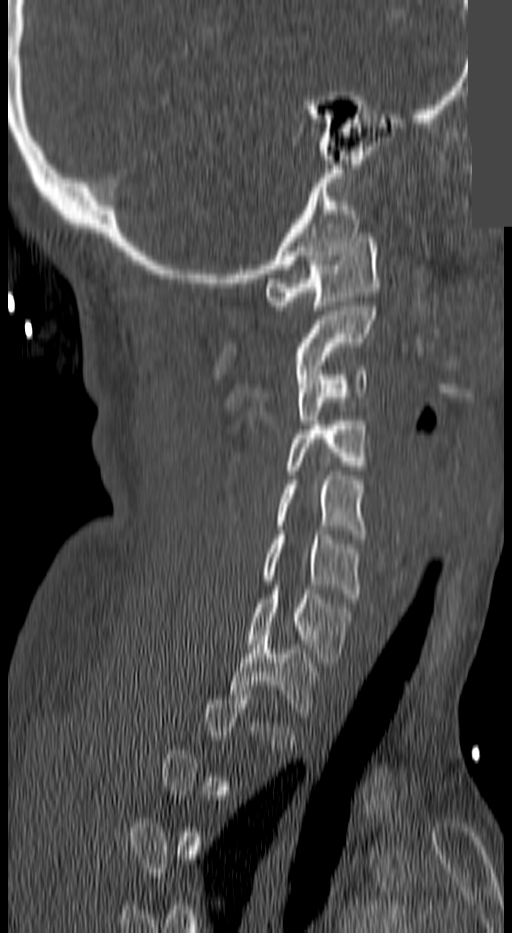

CT; 140 mm wide; sagittal view; 512x933 px; part of the image is a flat gray fill, not anatomy
Not every vertebra on this slice has a box: a vertebra is boxed only from the first to the last slice where its cross-section is at least a third of its largest, and this slice is outside that range for at least one of them.
<vertebrae><v name="C1" x1="265" y1="238" x2="381" y2="310"/><v name="C2" x1="294" y1="302" x2="377" y2="369"/><v name="C3" x1="295" y1="366" x2="366" y2="424"/><v name="C4" x1="287" y1="421" x2="366" y2="474"/><v name="C5" x1="276" y1="471" x2="366" y2="538"/><v name="C6" x1="261" y1="530" x2="359" y2="598"/><v name="C7" x1="246" y1="590" x2="351" y2="662"/><v name="T1" x1="231" y1="631" x2="319" y2="721"/></vertebrae>